Spine CT · sagittal view · Bone window (WL 400, WW 1800) · 186x186 px
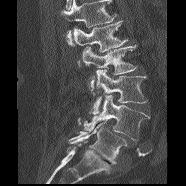 Boxes below are [x1, y1, x2, y2] in pixels.
Where the top of the scan cuts through a vertebra, that vertebra gets no label or box.
{"vertebrae":{"L1":[73,21,127,66],"L2":[81,45,137,95],"L3":[89,69,147,114],"L4":[84,95,149,140],"L5":[69,117,126,164]}}